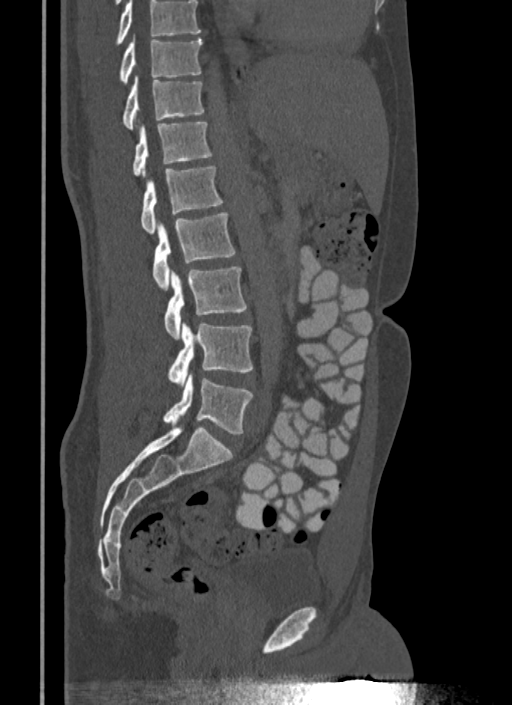

CT, spine; sagittal view

Each box is [x1, y1, x2, y2] in pixels: top-left corner, then bottom-right corner.
Vertebrae that run past the top of the scan are left unlabeled.
{"vertebrae":{"L5":[162,375,253,434],"L4":[167,322,253,385],"L3":[164,267,247,339],"L2":[152,212,235,290],"L1":[141,166,223,232],"T12":[132,122,213,175],"T11":[122,77,204,130],"T10":[119,38,202,85]}}